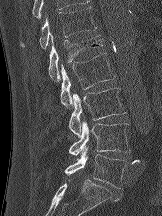

Spine computed tomography; sagittal reformat; bone window; 162x216 px

Columns x1, y1, x2, y2 give each box's top-left and bottom-right pixels.
| vertebra | x1 | y1 | x2 | y2 |
|---|---|---|---|---|
| T12 | 19 | 6 | 96 | 51 |
| L1 | 48 | 34 | 102 | 81 |
| L2 | 60 | 53 | 115 | 107 |
| L3 | 68 | 88 | 126 | 136 |
| L4 | 68 | 120 | 130 | 155 |
| L5 | 64 | 147 | 127 | 188 |